CT, spine · sagittal reformat · W/L 1800/400 HU · part of the image is a flat gray fill, not anatomy
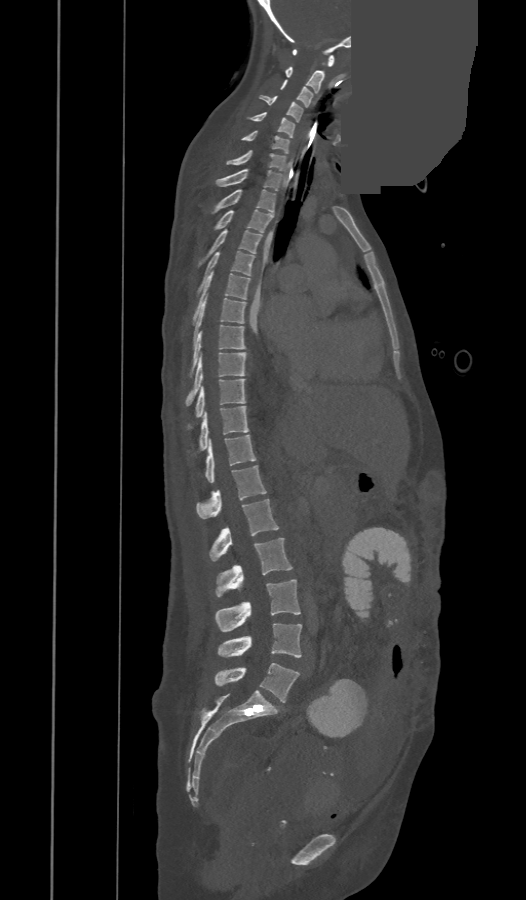
Boxes: x1:y1:x2:y2 in pixels. In these labels the spine has a T13, a thirteenth thoracic vertebra, between T12 and L1. The labeled vertebrae in this slice are: C1 at 292:49:334:67, C2 at 285:67:323:92, C3 at 281:80:312:107, C4 at 260:96:302:121, C5 at 246:112:295:137, C6 at 241:130:288:154, C7 at 227:150:285:170, T1 at 216:169:282:190, T2 at 216:189:275:212, T3 at 217:209:273:232, T4 at 210:229:261:254, T5 at 196:251:254:294, T6 at 193:271:250:323, T7 at 193:295:245:344, T8 at 189:325:245:377, T9 at 186:352:245:406, T10 at 186:379:245:430, T11 at 189:406:249:457, T12 at 204:435:256:482, T13 at 197:466:266:518, L1 at 210:499:278:561, L2 at 217:538:292:596, L3 at 216:579:300:631, L4 at 218:623:301:657, L5 at 216:662:299:702.